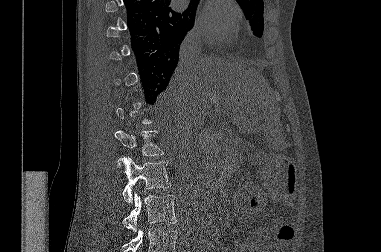
CT. sagittal view
Bounding boxes as [x1, y1, x2, y2] in pixel coordinates.
Not every vertebra on this slice has a box: a vertebra is boxed only from the first to the last slice where its cross-section is at least a third of its largest, and this slice is outside that range for at least one of them.
A vertebra cut off by the bottom edge of the scan is not labeled and has no box.
Vertebra bounding boxes:
- L1: [114, 130, 163, 155]
- L2: [118, 156, 170, 202]
- L3: [123, 192, 177, 232]